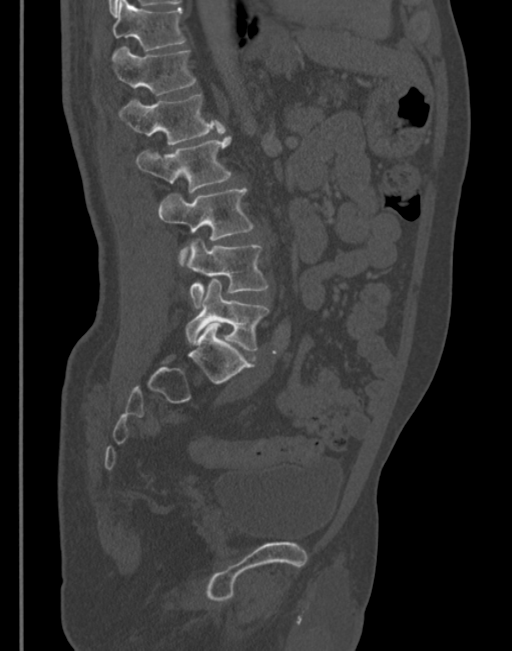
Computed tomography of the spine — sagittal view — 345 mm image width

<vertebrae><v name="L5" x1="185" y1="278" x2="269" y2="352"/><v name="L4" x1="185" y1="239" x2="267" y2="309"/><v name="L3" x1="159" y1="188" x2="253" y2="265"/><v name="L2" x1="136" y1="135" x2="232" y2="193"/><v name="L1" x1="118" y1="94" x2="224" y2="145"/><v name="T12" x1="111" y1="45" x2="196" y2="95"/><v name="T11" x1="113" y1="0" x2="186" y2="51"/></vertebrae>